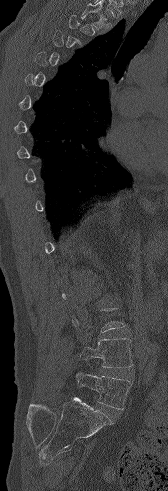

Spine CT. sagittal view. W/L 1800/400 HU. 168x491 px. image width 168 mm
Each box is [x1, y1, x2, y2] in pixels: top-left corner, then bottom-right corner.
Not every vertebra on this slice has a box: a vertebra is boxed only from the first to the last slice where its cross-section is at least a third of its largest, and this slice is outside that range for at least one of them.
{"vertebrae":{"L4":[80,338,133,367],"L5":[76,372,131,409]}}